CT spine. Sagittal slice 252/512
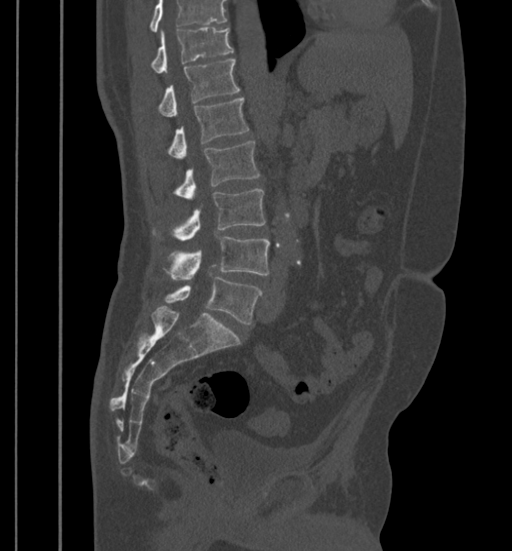 Each vertebra maps to its box as [x1, y1, x2, y2], the pixel coordinates of its top-left and bottom-right corners.
Where the top of the scan cuts through a vertebra, that vertebra gets no label or box.
{"vertebrae":{"T11":[150,27,234,73],"T12":[158,59,239,117],"L1":[167,98,249,158],"L2":[173,141,259,199],"L3":[153,188,266,241],"L4":[163,236,270,278],"L5":[164,277,262,323]}}